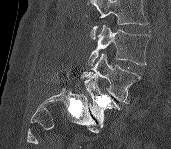

Spine computed tomography · sagittal reformat

Box edges are left/top/right/bottom in pixels.
No box is given to a vertebra that the top edge of the scan cuts off.
L5: left=83, top=73, right=119, bottom=127
L4: left=78, top=53, right=140, bottom=104
L3: left=88, top=24, right=149, bottom=66